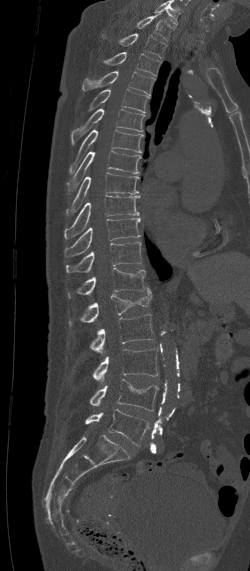

Spine CT; sagittal view; 250x571 px
The highest labeled vertebra in this scan is C7; the lowest is L5.
<vertebrae><v name="L5" x1="85" y1="409" x2="150" y2="445"/><v name="L4" x1="89" y1="378" x2="159" y2="411"/><v name="L3" x1="92" y1="349" x2="158" y2="381"/><v name="L2" x1="89" y1="314" x2="155" y2="352"/><v name="L1" x1="69" y1="286" x2="152" y2="326"/><v name="T12" x1="67" y1="267" x2="146" y2="299"/><v name="T11" x1="66" y1="242" x2="141" y2="272"/><v name="T10" x1="64" y1="218" x2="141" y2="257"/><v name="T9" x1="64" y1="195" x2="139" y2="238"/><v name="T8" x1="65" y1="172" x2="139" y2="215"/><v name="T7" x1="67" y1="150" x2="141" y2="192"/><v name="T6" x1="68" y1="130" x2="143" y2="174"/><v name="T5" x1="71" y1="108" x2="144" y2="145"/><v name="T4" x1="88" y1="89" x2="149" y2="113"/><v name="T3" x1="81" y1="71" x2="153" y2="95"/><v name="T2" x1="104" y1="52" x2="160" y2="75"/><v name="T1" x1="102" y1="33" x2="166" y2="58"/><v name="C7" x1="136" y1="13" x2="171" y2="39"/></vertebrae>